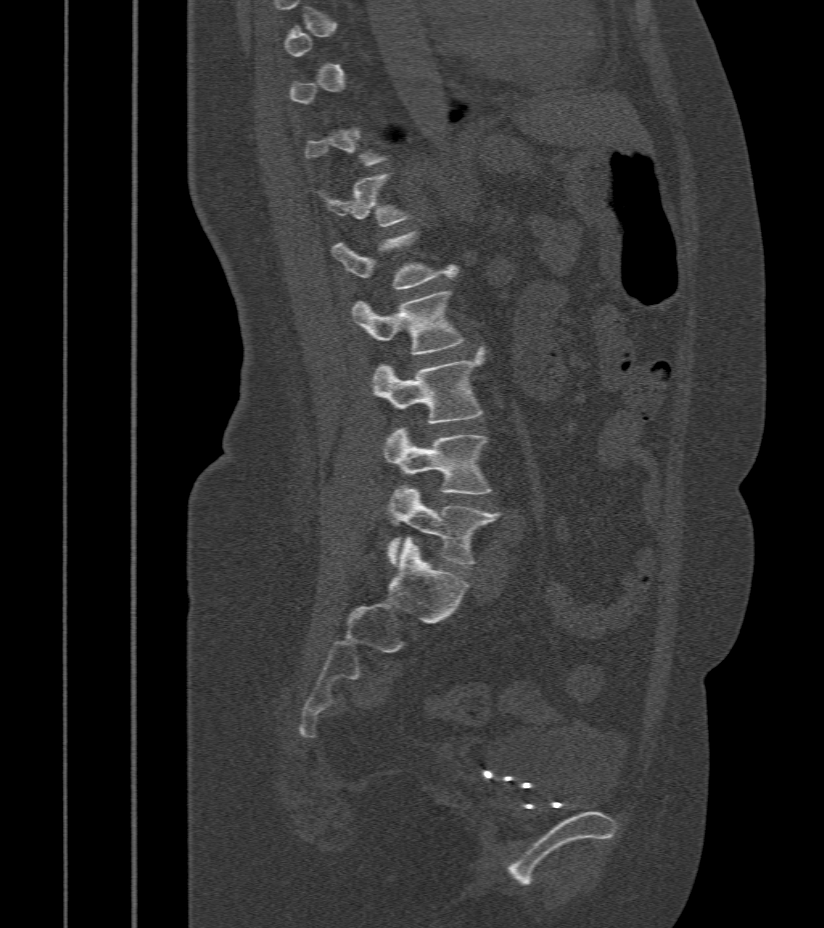
Spine CT; sagittal view; Bone window (WL 400, WW 1800)
Box values are [left, top, right, bottom] in pixels.
A vertebra gets a box only on the slices from the first to the last where its cross-section is at least a third of its largest; on a slice outside that range it gets none.
{"vertebrae":{"L1":[332,233,456,290],"L2":[352,291,462,354],"L3":[372,351,483,424],"L4":[383,429,491,494],"L5":[388,487,500,566]}}